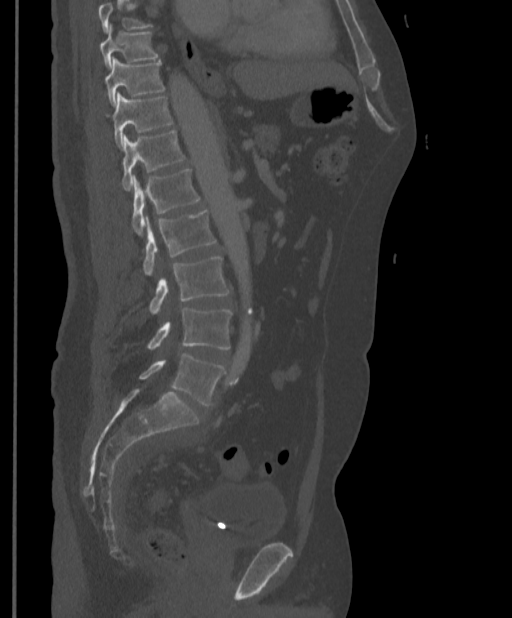
Spine computed tomography. sagittal reformat
Columns x1, y1, x2, y2 give each box's top-left and bottom-right pixels.
Vertebrae that run past the top of the scan are left unlabeled.
| vertebra | x1 | y1 | x2 | y2 |
|---|---|---|---|---|
| T9 | 100 | 25 | 159 | 69 |
| T10 | 106 | 57 | 165 | 105 |
| T11 | 112 | 93 | 173 | 147 |
| T12 | 121 | 130 | 186 | 190 |
| L1 | 131 | 169 | 200 | 235 |
| L2 | 143 | 210 | 217 | 275 |
| L3 | 149 | 257 | 230 | 314 |
| L4 | 147 | 308 | 231 | 349 |
| L5 | 139 | 353 | 225 | 405 |